CT spine; sagittal plane, index 89; 19 vertebrae labeled in this scan
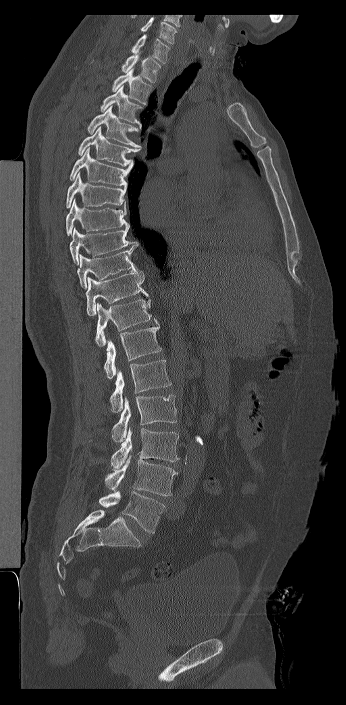

Box values are [left, top, right, bottom] in pixels.
Labels in this scan begin with C7 at the top and end with L6 at the bottom.
In these labels the spine has an L6, a sixth lumbar vertebra below L5.
{"vertebrae":{"C7":[131,34,170,63],"T1":[121,49,161,82],"T2":[112,68,151,105],"T3":[100,85,143,128],"T4":[87,106,140,147],"T5":[78,126,141,166],"T6":[69,148,133,187],"T7":[66,172,126,208],"T8":[66,199,129,235],"T9":[69,226,133,264],"T10":[77,241,143,289],"T11":[85,271,148,316],"T12":[95,299,157,347],"L1":[104,323,161,378],"L2":[109,360,171,412],"L3":[112,395,177,442],"L4":[111,427,179,468],"L5":[105,455,177,496],"L6":[99,491,165,533]}}